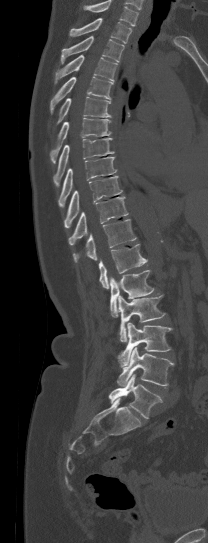

CT, spine — sagittal view — 208 mm wide — 208x543 px
Box edges are left/top/right/bottom in pixels.
A vertebra cut off by the top edge of the scan is not labeled and has no box.
Vertebra bounding boxes:
- L5: left=109, top=375, right=162, bottom=418
- L4: left=117, top=347, right=175, bottom=386
- L3: left=118, top=322, right=172, bottom=366
- L2: left=118, top=294, right=165, bottom=341
- L1: left=110, top=270, right=153, bottom=317
- T12: left=98, top=243, right=147, bottom=288
- T11: left=73, top=219, right=136, bottom=262
- T10: left=68, top=196, right=127, bottom=245
- T9: left=64, top=176, right=122, bottom=227
- T8: left=58, top=156, right=117, bottom=206
- T7: left=53, top=138, right=114, bottom=186
- T6: left=50, top=118, right=111, bottom=163
- T5: left=56, top=97, right=111, bottom=125
- T4: left=50, top=76, right=113, bottom=113
- T3: left=55, top=55, right=116, bottom=83
- T2: left=61, top=36, right=123, bottom=63
- T1: left=69, top=18, right=132, bottom=43